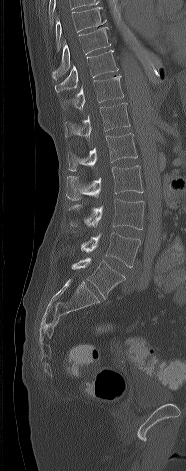 CT. sagittal reformat. the image is 186 mm wide. Bone window (WL 400, WW 1800). Bounding boxes as [x1, y1, x2, y2] in pixel coordinates.
Vertebra bounding boxes:
- L5: [72, 257, 125, 298]
- L4: [81, 232, 140, 267]
- L3: [69, 199, 144, 229]
- L2: [66, 165, 143, 200]
- L1: [68, 133, 137, 171]
- T12: [63, 102, 130, 140]
- T11: [60, 74, 123, 109]
- T10: [55, 50, 118, 92]
- T9: [51, 27, 111, 80]
- T8: [56, 7, 106, 52]